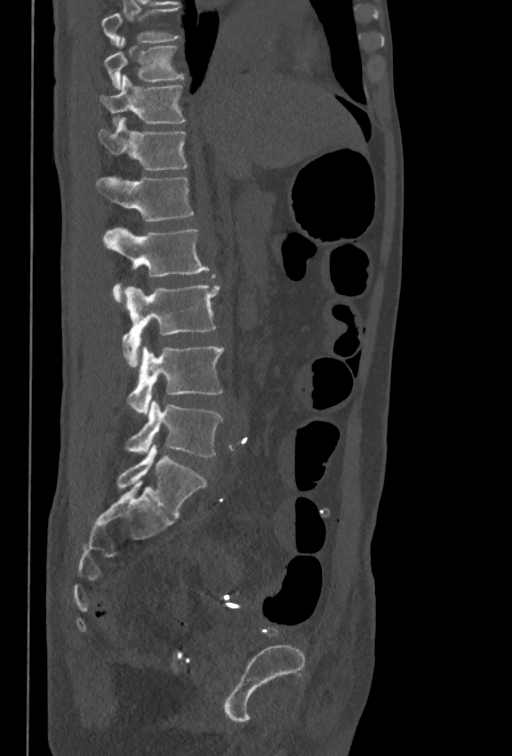

Spine CT — sagittal view — 512x756 px
Boxes: x1:y1:x2:y2 in pixels.
The highest labeled vertebra in this scan is T10; the lowest is L5.
Vertebra bounding boxes:
- L5: 125:400:223:457
- L4: 127:346:223:414
- L3: 123:284:220:366
- L2: 104:228:209:303
- L1: 96:176:193:222
- T12: 98:117:187:170
- T11: 101:75:186:124
- T10: 104:37:185:90